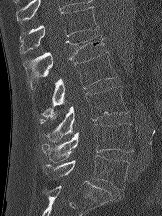

Spine computed tomography; sagittal reformat
Each box is [x1, y1, x2, y2] in pixels: top-left corner, then bottom-right corner.
{"vertebrae":{"T12":[20,6,98,53],"L1":[23,36,104,89],"L2":[41,51,116,118],"L3":[39,86,128,141],"L4":[41,123,133,162],"L5":[42,155,129,190]}}